CT, spine. sagittal reformat. 512x757 px
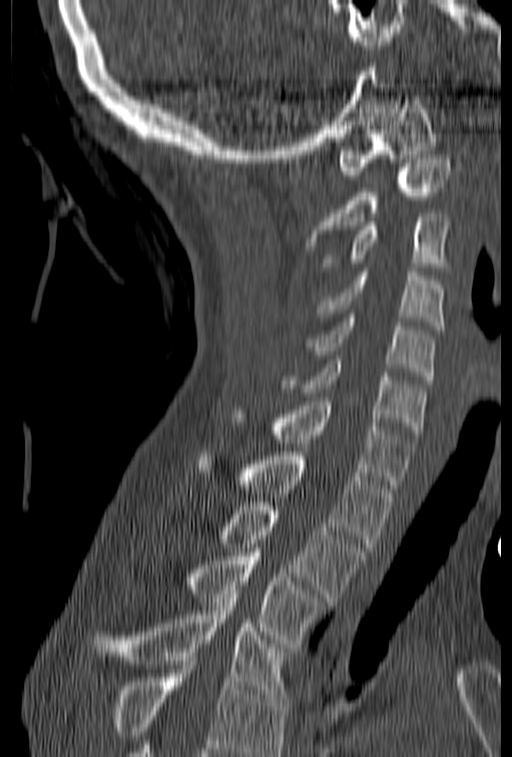
No box is given to a vertebra that the bottom edge of the scan cuts off.
<vertebrae><v name="C1" x1="339" y1="96" x2="436" y2="179"/><v name="C2" x1="304" y1="155" x2="449" y2="246"/><v name="C3" x1="322" y1="213" x2="449" y2="271"/><v name="C4" x1="316" y1="268" x2="442" y2="329"/><v name="C5" x1="305" y1="314" x2="435" y2="380"/><v name="C6" x1="279" y1="360" x2="425" y2="434"/><v name="C7" x1="231" y1="397" x2="415" y2="488"/><v name="T1" x1="198" y1="452" x2="395" y2="547"/><v name="T2" x1="219" y1="502" x2="365" y2="601"/><v name="T3" x1="185" y1="548" x2="328" y2="647"/><v name="T4" x1="92" y1="590" x2="291" y2="698"/></vertebrae>